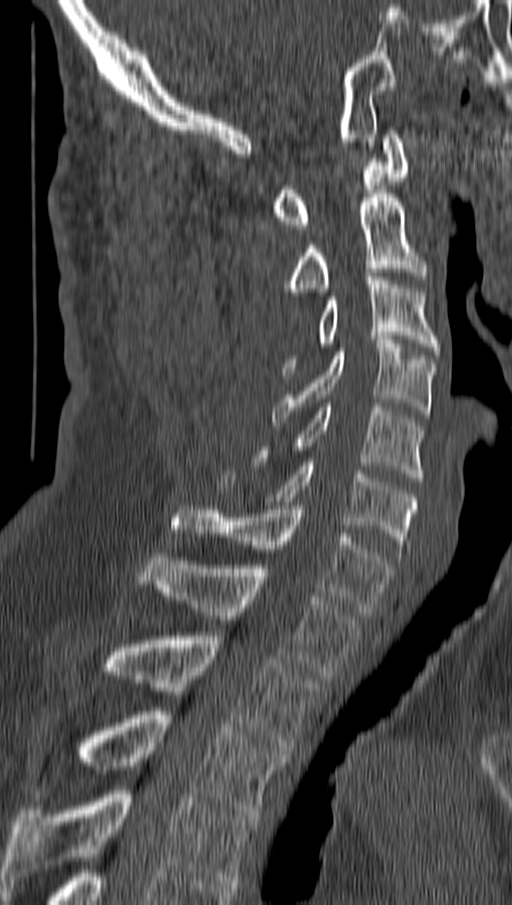

Spine CT — sagittal view — 162 mm across the image — Bone window (WL 400, WW 1800)
Boxes are given in columns x1, y1, x2, y2, the pixel coordinates of their top-left and bottom-right corners.
| vertebra | x1 | y1 | x2 | y2 |
|---|---|---|---|---|
| C1 | 273 | 130 | 409 | 228 |
| C2 | 289 | 194 | 424 | 295 |
| C3 | 282 | 273 | 439 | 374 |
| C4 | 273 | 336 | 436 | 426 |
| C5 | 257 | 403 | 424 | 481 |
| C6 | 218 | 462 | 417 | 552 |
| C7 | 175 | 506 | 392 | 611 |
| T1 | 140 | 553 | 360 | 679 |
| T2 | 105 | 632 | 319 | 754 |
| T3 | 71 | 707 | 285 | 817 |
| T4 | 4 | 786 | 256 | 888 |